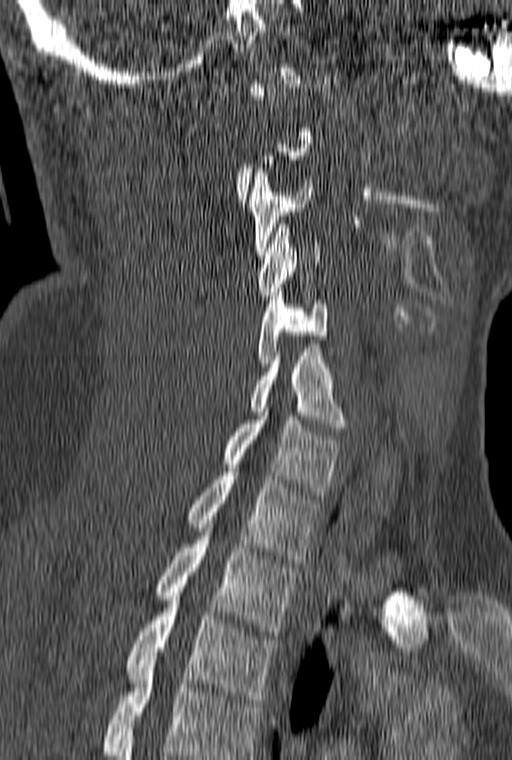

Spine computed tomography. sagittal reformat. W/L 1800/400 HU. 512x760 px

Bounding boxes as [x1, y1, x2, y2] in pixel coordinates.
Not every vertebra on this slice has a box: a vertebra is boxed only from the first to the last slice where its cross-section is at least a third of its largest, and this slice is outside that range for at least one of them.
This scan's labels start at C1 at the top and end at T3 at the bottom.
C3: [248, 168, 312, 255]
C4: [257, 220, 320, 299]
C5: [257, 288, 327, 367]
C6: [251, 348, 346, 431]
C7: [222, 408, 339, 495]
T1: [187, 472, 321, 563]
T2: [155, 524, 298, 635]
T3: [126, 596, 275, 703]